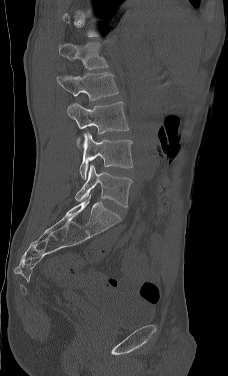 Spine computed tomography · sagittal view · bone window

Box values are [left, top, right, bottom] in pixels.
The highest labeled vertebra in this scan is L1; the lowest is L5.
{"vertebrae":{"L1":[58,42,108,69],"L2":[56,72,118,100],"L3":[67,102,129,148],"L4":[79,132,133,179],"L5":[75,164,132,207]}}